CT, spine; sagittal view; bone-window reconstruction; 234 mm wide
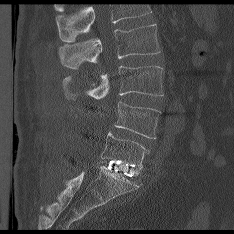

Each box is [x1, y1, x2, y2] in pixels: top-left corner, then bottom-right corner.
No box is given to a vertebra that the top edge of the scan cuts off.
{"vertebrae":{"L5":[101,132,148,168],"L4":[114,101,161,138],"L3":[62,66,163,98],"L2":[58,24,159,68]}}